Spine computed tomography · sagittal view · 6 vertebrae labeled in this scan
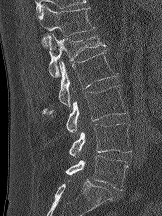 Each row gives a vertebra's box as x1, y1, x2, y2 in pixels: top-left corner, then bottom-right corner.
| vertebra | x1 | y1 | x2 | y2 |
|---|---|---|---|---|
| T12 | 38 | 4 | 94 | 49 |
| L1 | 47 | 34 | 105 | 77 |
| L2 | 42 | 49 | 118 | 114 |
| L3 | 65 | 85 | 127 | 132 |
| L4 | 68 | 123 | 131 | 157 |
| L5 | 65 | 155 | 128 | 190 |